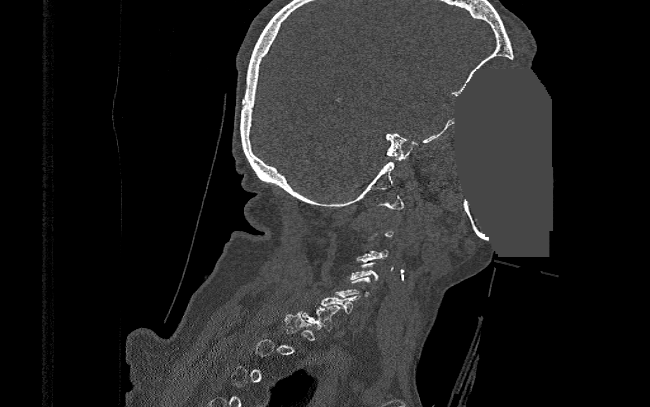

Spine CT · image width 390 mm · sagittal view · W/L 1800/400 HU · a uniform gray block covers part of the image
Each box given as x1,y1,x2,y2.
Each vertebra is boxed only on the slices from the first to the last where its cross-section reaches a third of its largest, so a slice outside that range leaves it unboxed.
C7: x1=302, y1=305, x2=341, y2=331
C3: x1=355, y1=250, x2=389, y2=262